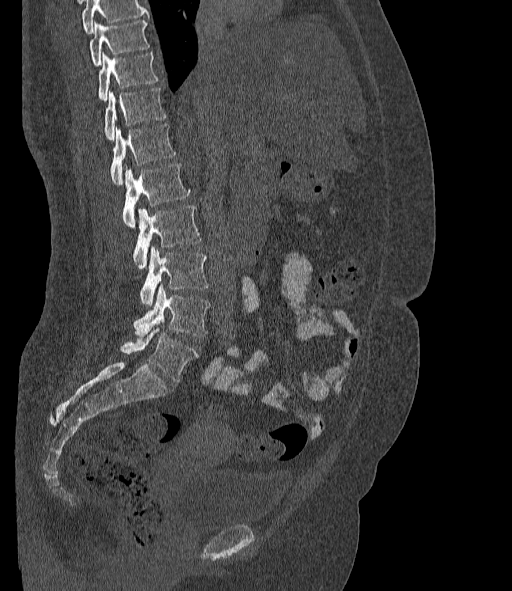
CT, spine. image 377 mm wide. sagittal view
Box edges are left/top/right/bottom in pixels. A vertebra cut off by the top edge of the scan is not labeled and has no box. In these labels the spine has an L6, a sixth lumbar vertebra below L5. 9 vertebrae labeled — L6 at left=121, top=323, right=198, bottom=382; L5 at left=133, top=284, right=211, bottom=336; L4 at left=140, top=247, right=208, bottom=306; L3 at left=133, top=205, right=201, bottom=268; L2 at left=122, top=163, right=189, bottom=227; L1 at left=110, top=124, right=175, bottom=184; T12 at left=104, top=88, right=166, bottom=140; T11 at left=99, top=52, right=158, bottom=101; T10 at left=89, top=20, right=150, bottom=66.